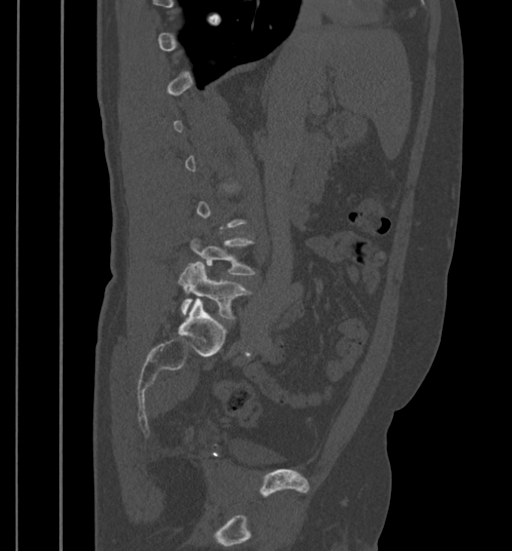
CT, spine. sagittal reformat. the image spans 399 mm across
Boxes: x1 y1 x2 y2 (pixel coords, space-separated).
Not every vertebra on this slice has a box: a vertebra is boxed only from the first to the last slice where its cross-section is at least a third of its largest, and this slice is outside that range for at least one of them.
Vertebra bounding boxes:
- L4: 191 238 255 274
- L5: 178 262 250 319